Spine CT — sagittal view — Bone window (WL 400, WW 1800) — 23 vertebrae labeled in this scan — some of the image was removed or blocked out with constant pixels
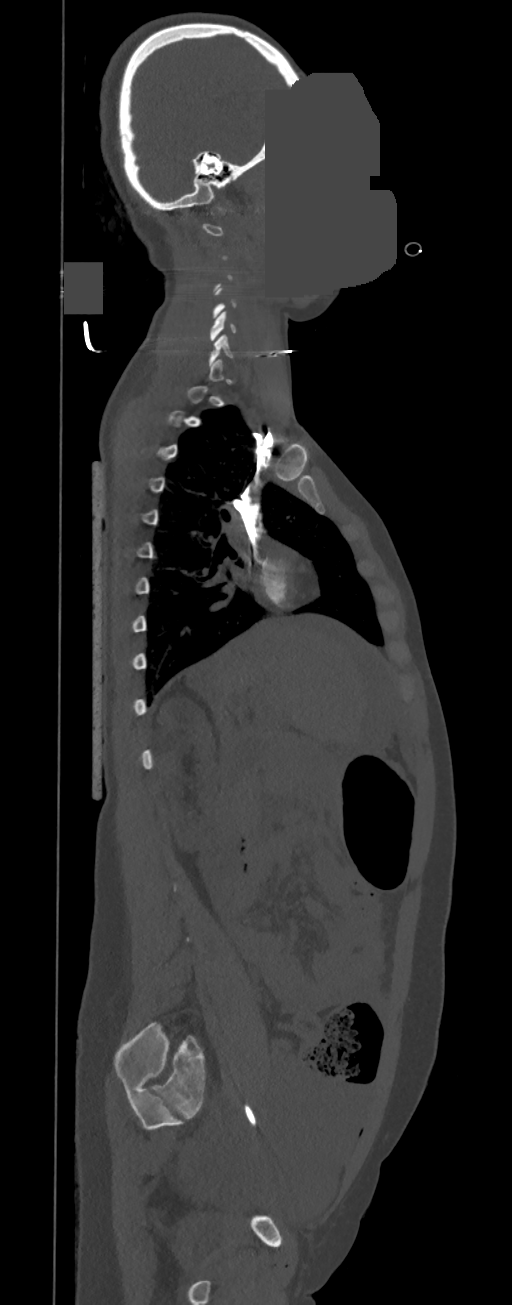

Box values are [left, top, right, bottom] in pixels.
A vertebra gets a box only on the slices from the first to the last where its cross-section is at least a third of its largest; on a slice outside that range it gets none.
{"vertebrae":{"C6":[208,334,232,365],"C5":[209,312,236,340]}}